CT spine; sagittal view; bone window; 196x196 px; 4 vertebrae labeled in this scan
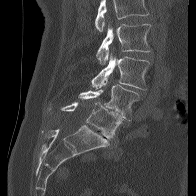

No box is given to a vertebra that the top edge of the scan cuts off.
<vertebrae><v name="L2" x1="96" y1="24" x2="151" y2="64"/><v name="L3" x1="91" y1="53" x2="150" y2="90"/><v name="L4" x1="79" y1="79" x2="139" y2="121"/><v name="L5" x1="62" y1="101" x2="123" y2="138"/></vertebrae>